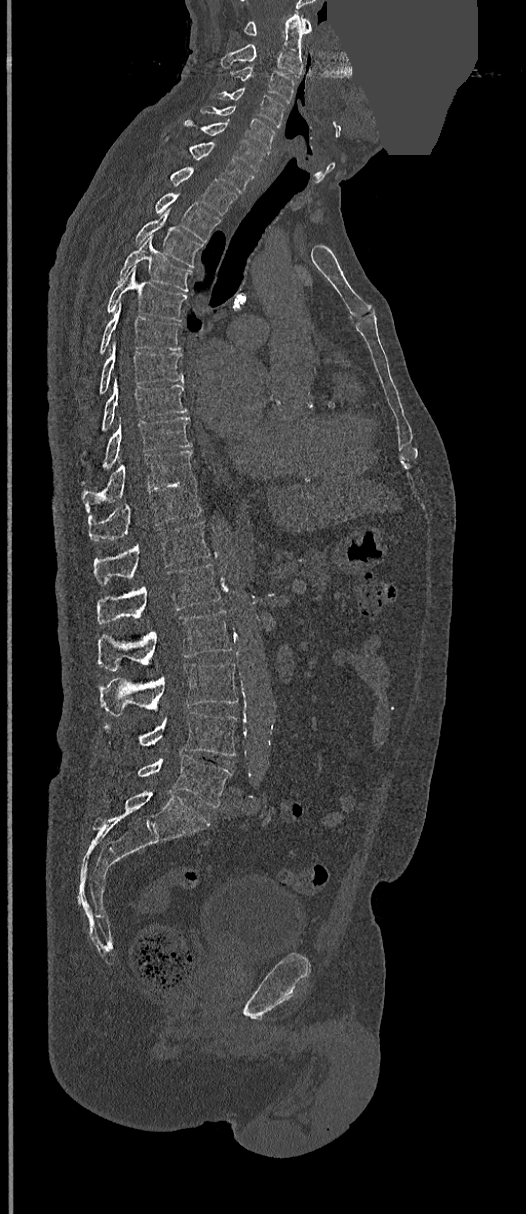 Spine computed tomography · sagittal view · the image is 368 mm wide · part of the image has been replaced by a constant value

Coordinates as <box>x1,y1,x2,y2</box>.
Vertebra bounding boxes:
- C1: <box>244,16,311,36</box>
- C2: <box>221,13,303,76</box>
- C3: <box>230,66,295,103</box>
- C4: <box>213,87,285,126</box>
- C5: <box>201,106,276,150</box>
- C6: <box>184,119,267,172</box>
- C7: <box>165,137,253,192</box>
- T1: <box>168,167,236,215</box>
- T2: <box>154,193,220,242</box>
- T3: <box>135,209,204,268</box>
- T4: <box>118,237,193,292</box>
- T5: <box>106,266,187,322</box>
- T6: <box>100,306,180,355</box>
- T7: <box>99,344,183,395</box>
- T8: <box>82,380,187,453</box>
- T9: <box>102,417,192,470</box>
- T10: <box>81,450,194,513</box>
- T11: <box>88,480,200,542</box>
- T12: <box>94,521,211,583</box>
- L1: <box>97,564,220,623</box>
- L2: <box>97,610,232,670</box>
- L3: <box>100,663,237,715</box>
- L4: <box>106,711,236,756</box>
- L5: <box>139,754,230,808</box>